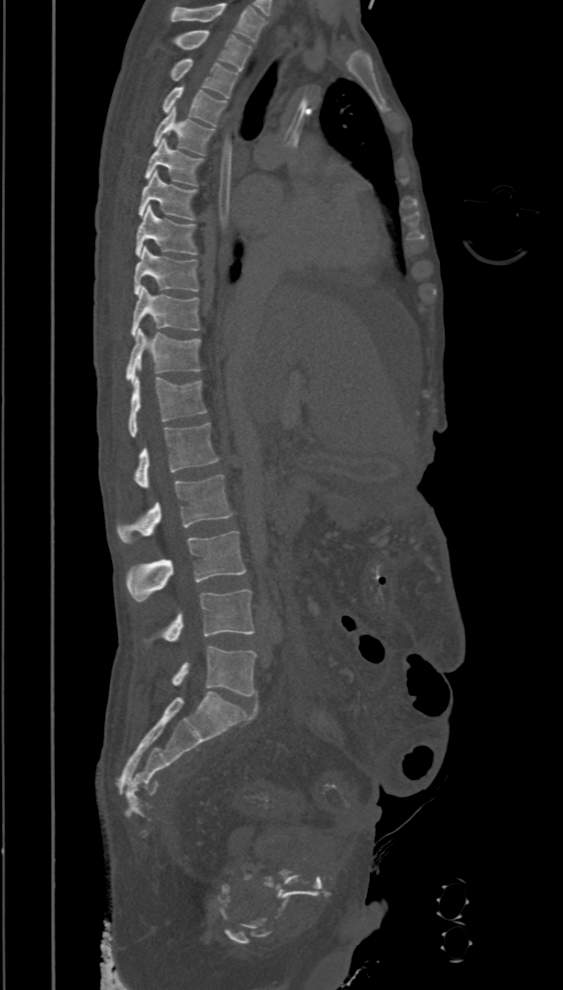
Spine computed tomography; sagittal reformat; 563x990 px; the image spans 394 mm across
Boxes: x1:y1:x2:y2 in pixels.
The highest labeled vertebra in this scan is T2; the lowest is L5.
Vertebra bounding boxes:
- L5: 170:646:256:696
- L4: 143:589:254:642
- L3: 128:530:246:601
- L2: 117:475:233:542
- L1: 134:423:219:488
- T12: 129:377:206:436
- T11: 125:328:201:384
- T10: 131:286:199:336
- T9: 134:246:199:295
- T8: 135:205:196:256
- T7: 139:170:196:219
- T6: 144:137:203:185
- T5: 153:107:214:154
- T4: 163:86:225:126
- T3: 171:58:239:98
- T2: 176:30:252:71